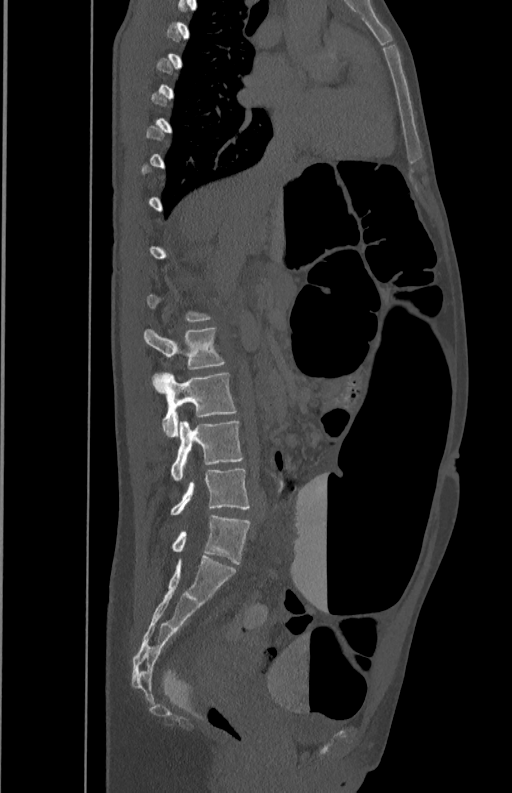
Spine computed tomography — sagittal view — bone window
Boxes are (x1, y1, x2, y2) in pixels. A vertebra gets a box only on the slices from the first to the last where its cross-section is at least a third of its largest; on a slice outside that range it gets none. The labeled vertebrae in this slice are: L2 at (143, 328, 224, 369), L3 at (152, 373, 236, 436), L4 at (171, 421, 243, 480), L5 at (171, 467, 249, 515).